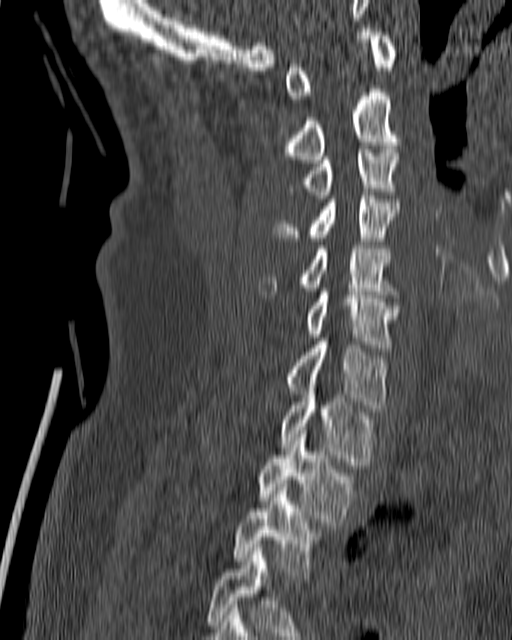 Spine computed tomography. sagittal view. bone-window reconstruction

Each box given as x1,y1,x2,y2.
Vertebra bounding boxes:
- T4: x1=207, y1=544, x2=310, y2=639
- T3: x1=234, y1=484, x2=318, y2=575
- T2: x1=258, y1=430, x2=353, y2=522
- T1: x1=280, y1=388, x2=373, y2=465
- C7: x1=285, y1=338, x2=387, y2=411
- C6: x1=305, y1=288, x2=398, y2=347
- C5: x1=258, y1=245, x2=395, y2=298
- C4: x1=274, y1=192, x2=399, y2=241
- C3: x1=288, y1=146, x2=398, y2=198
- C2: x1=288, y1=92, x2=398, y2=163
- C1: x1=285, y1=28, x2=396, y2=102